CT spine — sagittal reformat — 204x192 px
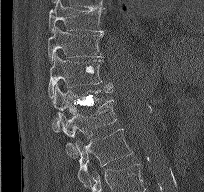 Each vertebra maps to its box as [x1, y1, x2, y2], the pixel coordinates of its top-left and bottom-right corners.
{"vertebrae":{"L2":[75,129,133,186],"L1":[57,99,116,157],"T12":[52,83,113,132],"T11":[48,55,112,99],"T10":[47,27,103,63],"T9":[49,0,104,33]}}